CT, spine — 473 mm wide — sagittal view — W/L 1800/400 HU — a region of this slice is masked with a uniform fill
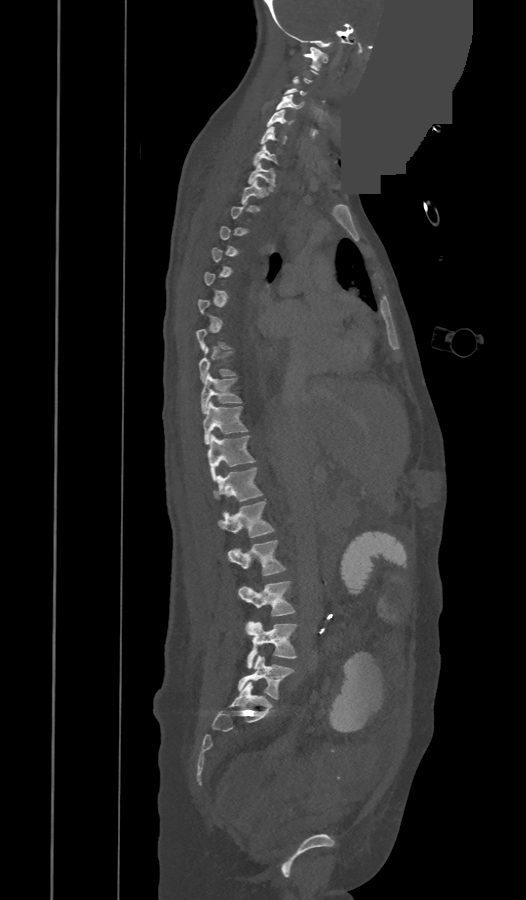 Bounding boxes as [x1, y1, x2, y2] in pixel coordinates.
A vertebra gets a box only on the slices from the first to the last where its cross-section is at least a third of its largest; on a slice outside that range it gets none.
These labels give the spine a thirteenth thoracic vertebra: T13 sits between T12 and L1.
C1: [303, 47, 327, 70]
C3: [284, 79, 306, 95]
C4: [276, 95, 302, 109]
C5: [267, 109, 285, 127]
C6: [260, 127, 285, 144]
C7: [254, 145, 277, 165]
T1: [247, 162, 274, 187]
T2: [241, 180, 266, 204]
T9: [199, 347, 236, 382]
T10: [201, 372, 241, 414]
T11: [203, 401, 246, 444]
T12: [207, 435, 255, 480]
T13: [215, 468, 262, 501]
L1: [219, 501, 273, 537]
L2: [228, 540, 285, 576]
L3: [238, 581, 295, 616]
L4: [246, 621, 297, 668]
L5: [238, 656, 294, 699]